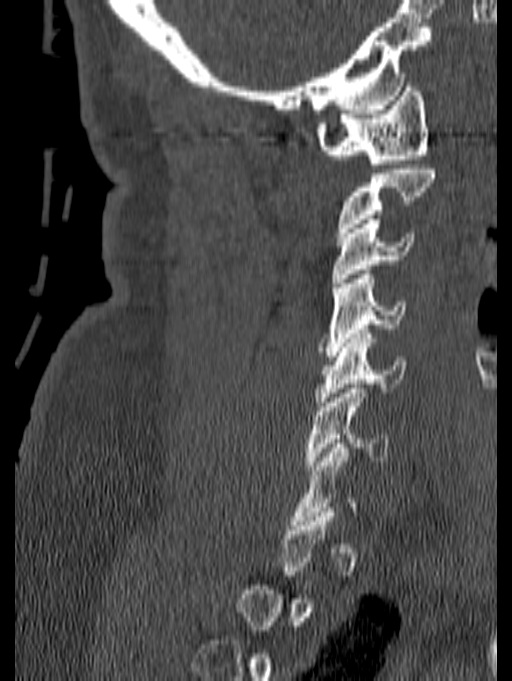

Computed tomography of the spine · sagittal reformat
Boxes are given in columns x1, y1, x2, y2, the pixel coordinates of their top-left and bottom-right corners.
Each vertebra is boxed only on the slices from the first to the last where its cross-section reaches a third of its largest, so a slice outside that range leaves it unboxed.
| vertebra | x1 | y1 | x2 | y2 |
|---|---|---|---|---|
| C6 | 305 | 384 | 388 | 470 |
| C5 | 315 | 329 | 407 | 406 |
| C4 | 318 | 270 | 406 | 356 |
| C3 | 331 | 219 | 416 | 282 |
| C1 | 316 | 82 | 428 | 168 |